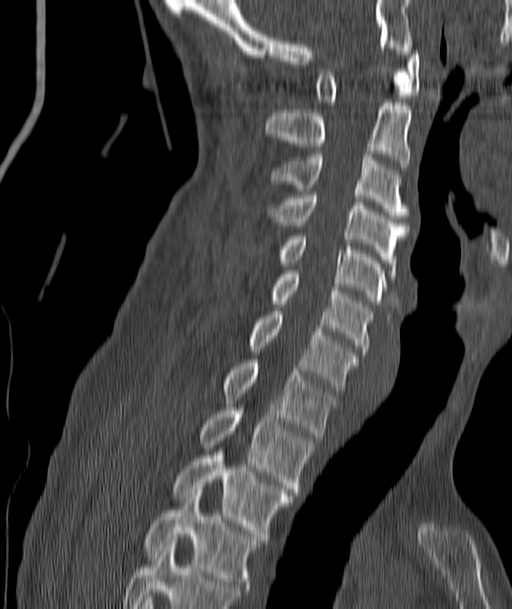 CT — sagittal view — bone window
Boxes: x1:y1:x2:y2 in pixels. Vertebrae labeled: T4 at 143:493:260:588, T3 at 173:452:293:536, T2 at 201:411:312:492, T1 at 223:359:337:437, C7 at 250:311:359:389, C6 at 272:274:372:355, C5 at 277:233:386:304, C4 at 269:192:408:269, C3 at 272:154:408:218, C2 at 266:99:411:167, C1 at 316:48:419:105.